CT spine — sagittal reformat — 140 mm image width — 512x782 px
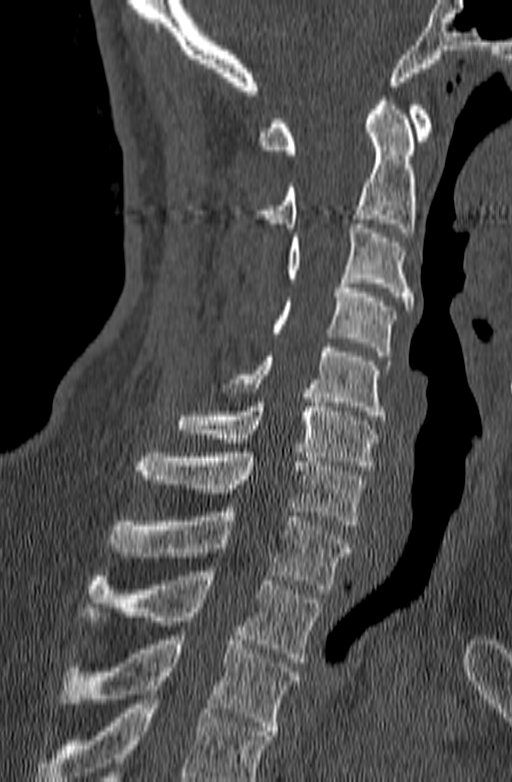
No box is given to a vertebra that the bottom edge of the scan cuts off.
<vertebrae><v name="C1" x1="257" y1="101" x2="433" y2="154"/><v name="C2" x1="253" y1="96" x2="417" y2="232"/><v name="C3" x1="287" y1="224" x2="413" y2="310"/><v name="C4" x1="272" y1="279" x2="395" y2="356"/><v name="C5" x1="222" y1="347" x2="391" y2="420"/><v name="C6" x1="177" y1="393" x2="377" y2="470"/><v name="C7" x1="133" y1="453" x2="366" y2="525"/><v name="T1" x1="107" y1="507" x2="353" y2="593"/><v name="T2" x1="85" y1="571" x2="320" y2="662"/><v name="T3" x1="60" y1="631" x2="299" y2="735"/></vertebrae>